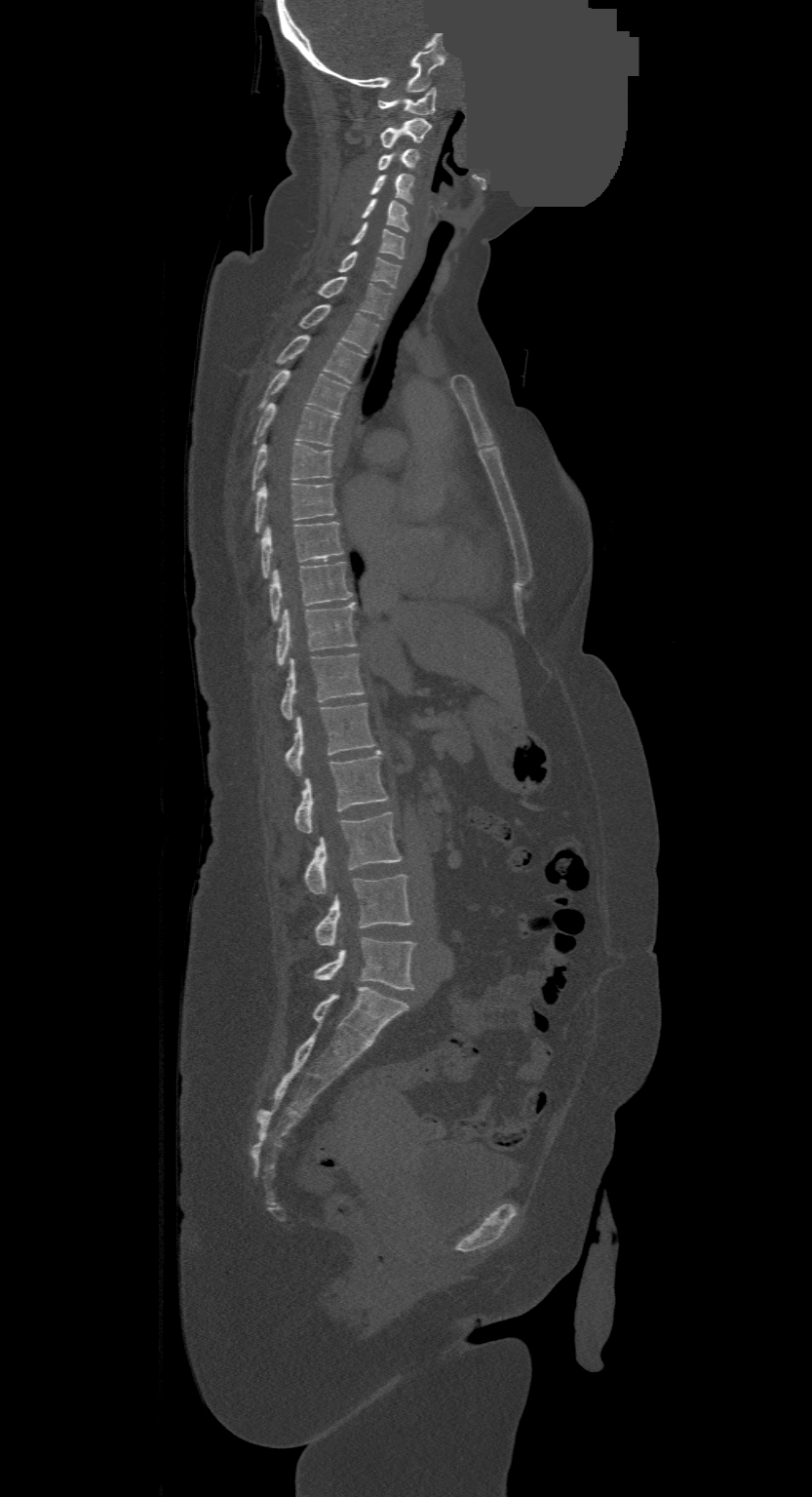 CT, spine · sagittal reformat · bone-window reconstruction · 812x1497 px · the image is 500 mm wide · part of the image is a flat gray fill, not anatomy
In this scan, the topmost labeled vertebra is C1 and the lowest is L4.
<vertebrae><v name="C1" x1="379" y1="87" x2="436" y2="115"/><v name="C2" x1="381" y1="117" x2="431" y2="149"/><v name="C3" x1="379" y1="148" x2="418" y2="170"/><v name="C4" x1="369" y1="175" x2="413" y2="201"/><v name="C5" x1="362" y1="199" x2="408" y2="232"/><v name="C6" x1="352" y1="223" x2="404" y2="257"/><v name="C7" x1="339" y1="251" x2="401" y2="287"/><v name="T1" x1="319" y1="277" x2="391" y2="320"/><v name="T2" x1="300" y1="304" x2="380" y2="352"/><v name="T3" x1="278" y1="335" x2="364" y2="383"/><v name="T4" x1="262" y1="370" x2="348" y2="414"/><v name="T5" x1="253" y1="404" x2="337" y2="445"/><v name="T6" x1="252" y1="443" x2="332" y2="489"/><v name="T7" x1="255" y1="483" x2="335" y2="531"/><v name="T8" x1="262" y1="522" x2="343" y2="576"/><v name="T9" x1="270" y1="561" x2="351" y2="620"/><v name="T10" x1="276" y1="602" x2="356" y2="666"/><v name="T11" x1="281" y1="653" x2="363" y2="720"/><v name="T12" x1="286" y1="702" x2="375" y2="776"/><v name="L1" x1="295" y1="750" x2="388" y2="833"/><v name="L2" x1="303" y1="811" x2="402" y2="893"/><v name="L3" x1="316" y1="875" x2="411" y2="947"/><v name="L4" x1="314" y1="938" x2="414" y2="989"/></vertebrae>